CT, spine. 377 mm wide. sagittal reformat
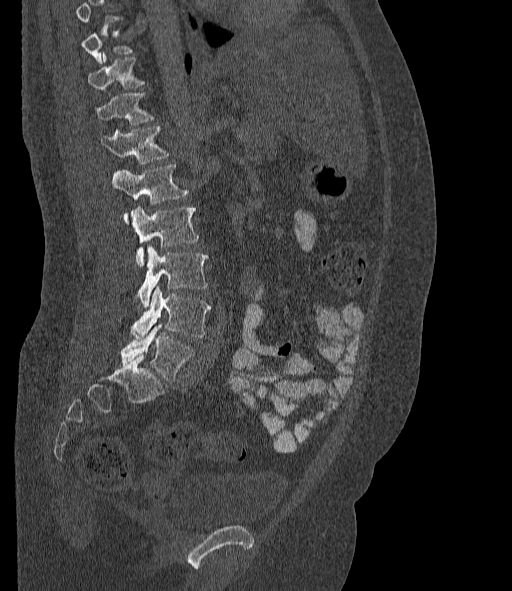 Boxes below are [x1, y1, x2, y2] in pixels.
A vertebra gets a box only on the slices from the first to the last where its cross-section is at least a third of its largest; on a slice outside that range it gets none.
The labels name a sixth lumbar vertebra for this spine: L6, after L5.
{"vertebrae":{"L6":[121,323,194,382],"L5":[130,287,211,339],"L4":[138,246,208,307],"L3":[130,206,198,265],"L2":[111,164,188,220],"L1":[100,126,169,163],"T12":[96,92,152,124],"T11":[88,54,144,89]}}